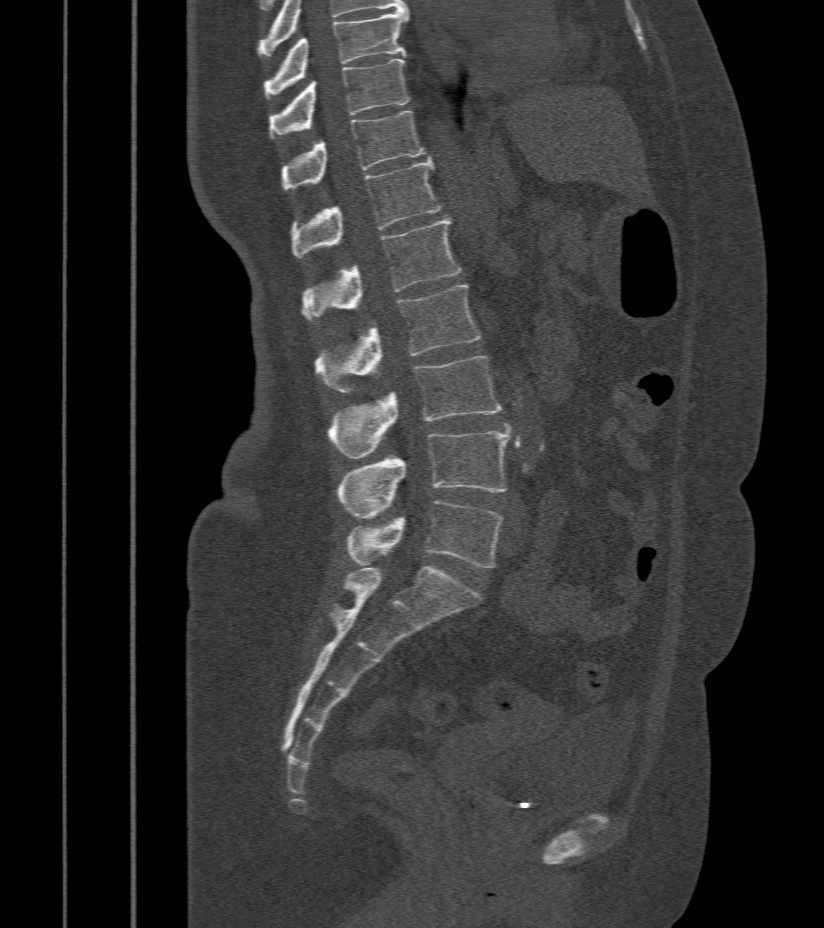

Computed tomography of the spine. sagittal view. W/L 1800/400 HU. 824x928 px. image width 412 mm
<vertebrae><v name="T9" x1="264" y1="11" x2="409" y2="98"/><v name="T10" x1="270" y1="59" x2="409" y2="138"/><v name="T11" x1="282" y1="111" x2="425" y2="190"/><v name="T12" x1="291" y1="159" x2="442" y2="258"/><v name="L1" x1="303" y1="217" x2="461" y2="320"/><v name="L2" x1="315" y1="285" x2="480" y2="392"/><v name="L3" x1="328" y1="357" x2="501" y2="458"/><v name="L4" x1="336" y1="431" x2="511" y2="518"/><v name="L5" x1="346" y1="501" x2="503" y2="568"/></vertebrae>